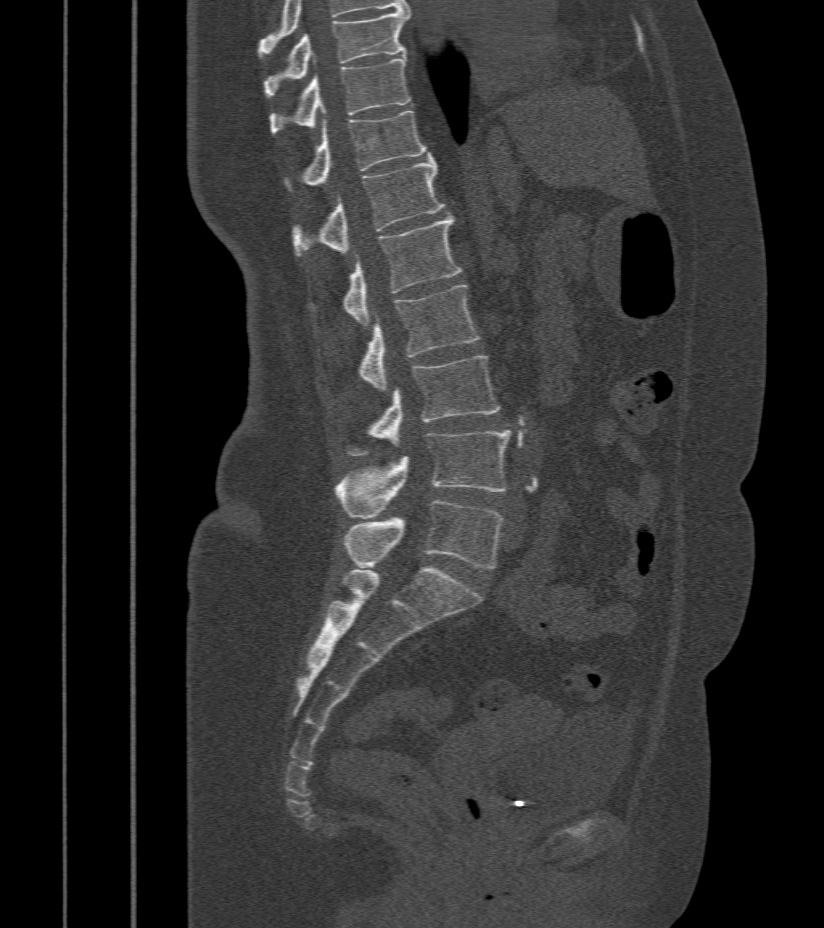

Spine computed tomography. sagittal reformat. 824x928 px
Bounding boxes as [x1, y1, x2, y2] in pixel coordinates.
Vertebra bounding boxes:
- T9: [264, 11, 409, 98]
- T10: [270, 57, 411, 134]
- T11: [303, 109, 430, 186]
- T12: [295, 157, 445, 256]
- L1: [344, 215, 461, 326]
- L2: [360, 285, 479, 392]
- L3: [349, 355, 501, 456]
- L4: [336, 431, 511, 518]
- L5: [344, 501, 503, 568]